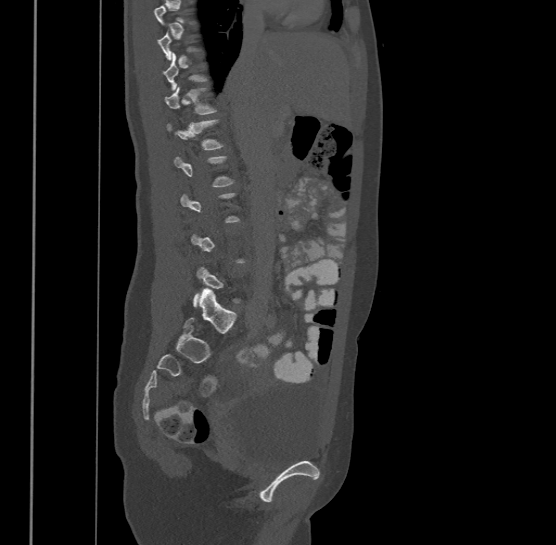
Spine computed tomography. sagittal view. bone-window reconstruction. 500 mm image width

Boxes are (x1, y1, x2, y2) in pixels.
Not every vertebra on this slice has a box: a vertebra is boxed only from the first to the last slice where its cross-section is at least a third of its largest, and this slice is outside that range for at least one of them.
Vertebra bounding boxes:
- T11: (165, 86, 215, 115)
- T12: (166, 119, 223, 149)